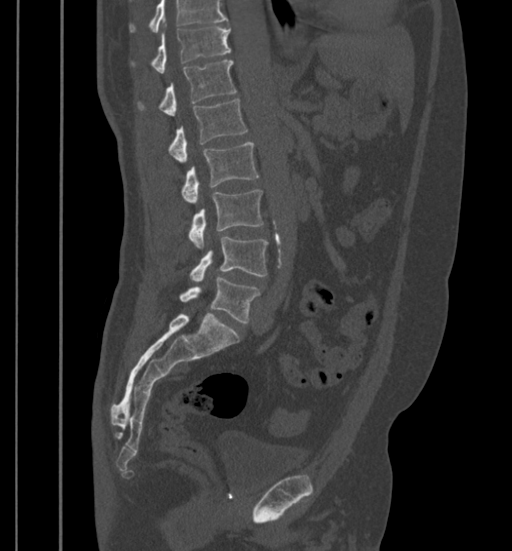

CT; sagittal reformat
No box is given to a vertebra that the top edge of the scan cuts off.
<vertebrae><v name="L5" x1="180" y1="277" x2="259" y2="323"/><v name="L4" x1="190" y1="237" x2="267" y2="281"/><v name="L3" x1="188" y1="190" x2="263" y2="248"/><v name="L2" x1="182" y1="142" x2="258" y2="204"/><v name="L1" x1="169" y1="99" x2="247" y2="163"/><v name="T12" x1="138" y1="60" x2="236" y2="115"/><v name="T11" x1="151" y1="27" x2="231" y2="73"/></vertebrae>